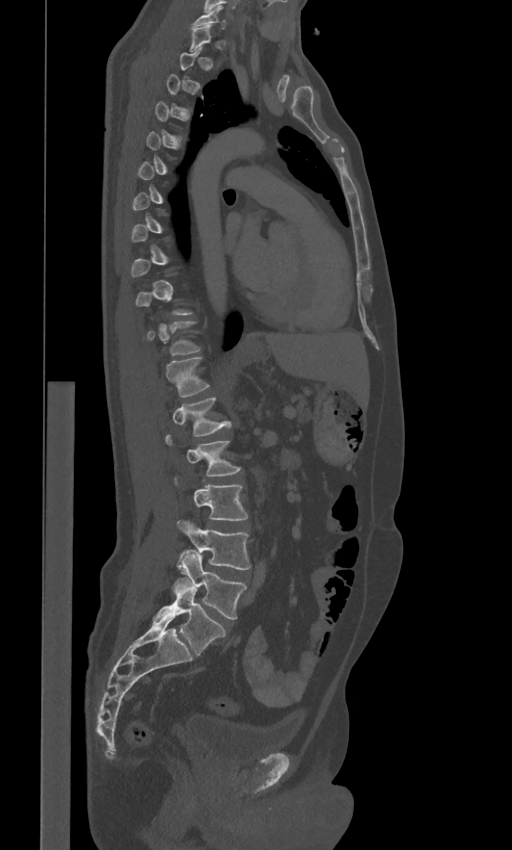

Spine CT — sagittal view — bone-window reconstruction
In the table, x1 and y1 are a box's top-left corner and x2 and y2 its bottom-right corner, in pixels.
A vertebra gets a box only on the slices from the first to the last where its cross-section is at least a third of its largest; on a slice outside that range it gets none.
These labels give the spine a sixth lumbar vertebra, L6, below L5.
| vertebra | x1 | y1 | x2 | y2 |
|---|---|---|---|---|
| C7 | 192 | 7 | 227 | 28 |
| T11 | 142 | 320 | 201 | 356 |
| T12 | 165 | 357 | 209 | 397 |
| L1 | 172 | 396 | 231 | 436 |
| L2 | 165 | 435 | 240 | 475 |
| L3 | 173 | 475 | 247 | 519 |
| L4 | 176 | 519 | 251 | 569 |
| L5 | 175 | 551 | 246 | 619 |
| L6 | 155 | 577 | 225 | 655 |